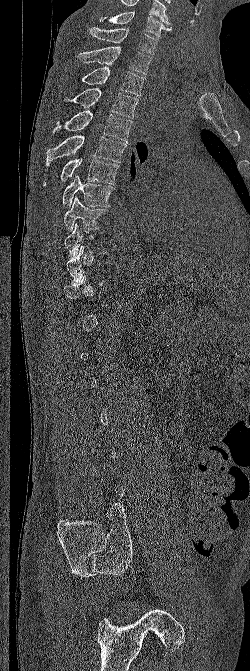

CT; sagittal view; bone window; 250 mm wide; 250x671 px

Boxes: x1:y1:x2:y2 in pixels. A vertebra gets a box only on the slices from the first to the last where its cross-section is at least a third of its largest; on a slice outside that range it gets none. In this scan, the topmost labeled vertebra is C6 and the lowest is L5. The labeled vertebrae in this slice are: C6 at 99:11:172:37, C7 at 90:27:158:54, T1 at 77:46:151:74, T2 at 81:67:145:95, T3 at 64:88:138:118, T4 at 53:109:132:141, T5 at 46:135:126:165, T6 at 43:158:119:186, T7 at 62:174:115:207, T8 at 64:196:108:233, T9 at 64:223:106:258.